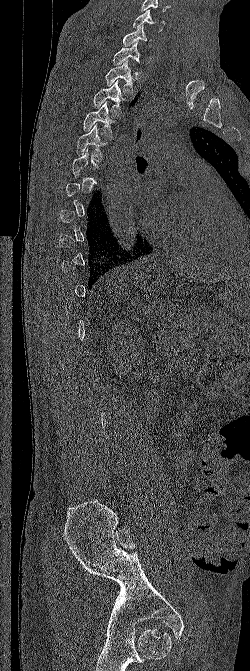 CT, spine; sagittal view; 250 mm across the image
Each box given as x1,y1,x2,y2.
A vertebra gets a box only on the slices from the first to the last where its cross-section is at least a third of its largest; on a slice outside that range it gets none.
T5: x1=76, y1=124, x2=108, y2=159
T4: x1=83, y1=101, x2=119, y2=137
T3: x1=92, y1=80, x2=125, y2=116
T2: x1=105, y1=61, x2=136, y2=94
T1: x1=112, y1=41, x2=141, y2=71
C7: x1=123, y1=24, x2=151, y2=46
C6: x1=133, y1=9, x2=165, y2=31